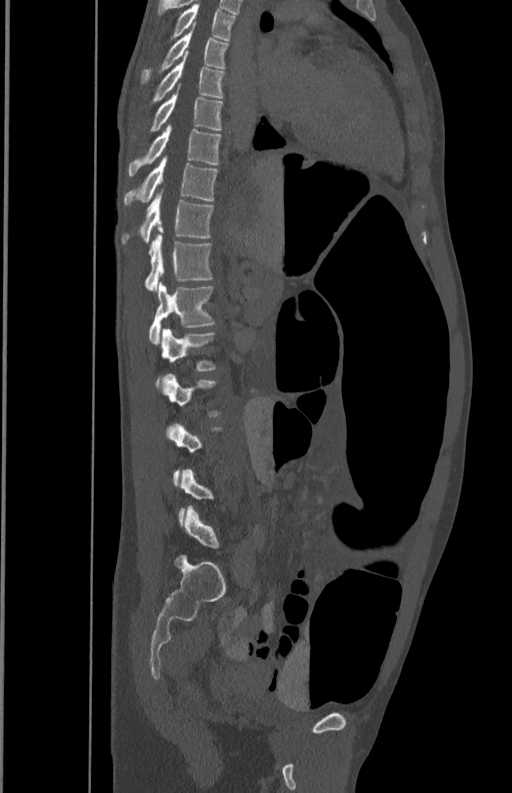
CT, spine · image 350 mm wide · sagittal view · bone-window reconstruction
Boxes below are [x1, y1, x2, y2] in pixels.
A vertebra gets a box only on the slices from the first to the last where its cross-section is at least a third of its largest; on a slice outside that range it gets none.
{"vertebrae":{"T5":[169,3,236,40],"T6":[140,30,228,83],"T7":[149,57,226,106],"T8":[150,91,223,132],"T9":[127,124,221,175],"T10":[124,155,217,204],"T11":[121,190,214,244],"T12":[145,234,212,291],"L1":[149,280,215,344],"L2":[156,329,217,386]}}